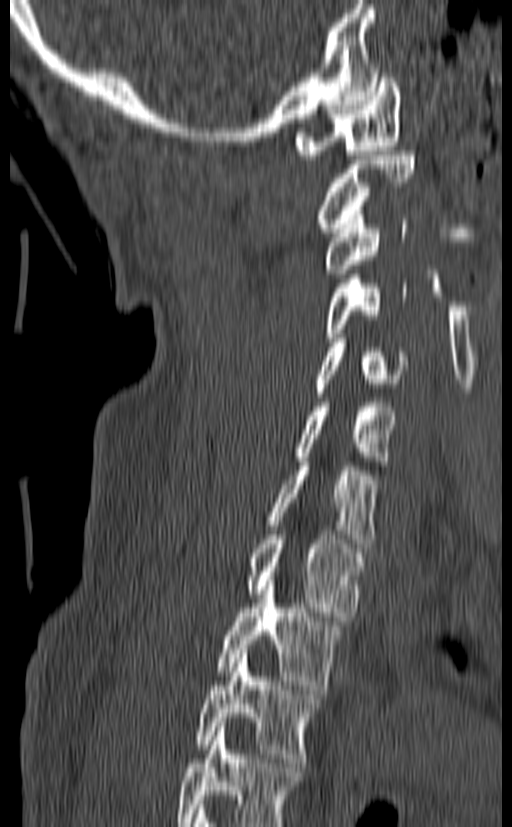
Spine CT · sagittal view · 512x827 px. In the table, x1 and y1 are a box's top-left corner and x2 and y2 its bottom-right corner, in pixels.
Labels in this scan begin with C1 at the top and end with T3 at the bottom.
| vertebra | x1 | y1 | x2 | y2 |
|---|---|---|---|---|
| T3 | 195 | 649 | 322 | 762 |
| T2 | 217 | 576 | 342 | 689 |
| T1 | 246 | 530 | 366 | 621 |
| C7 | 267 | 462 | 377 | 548 |
| C6 | 294 | 398 | 397 | 465 |
| C5 | 312 | 338 | 408 | 397 |
| C4 | 323 | 274 | 406 | 342 |
| C3 | 323 | 210 | 408 | 273 |
| C2 | 316 | 151 | 415 | 232 |
| C1 | 295 | 69 | 401 | 159 |